CT spine · sagittal plane, index 266 · bone-window reconstruction · 833x1119 px · scan covers 18 annotated vertebrae
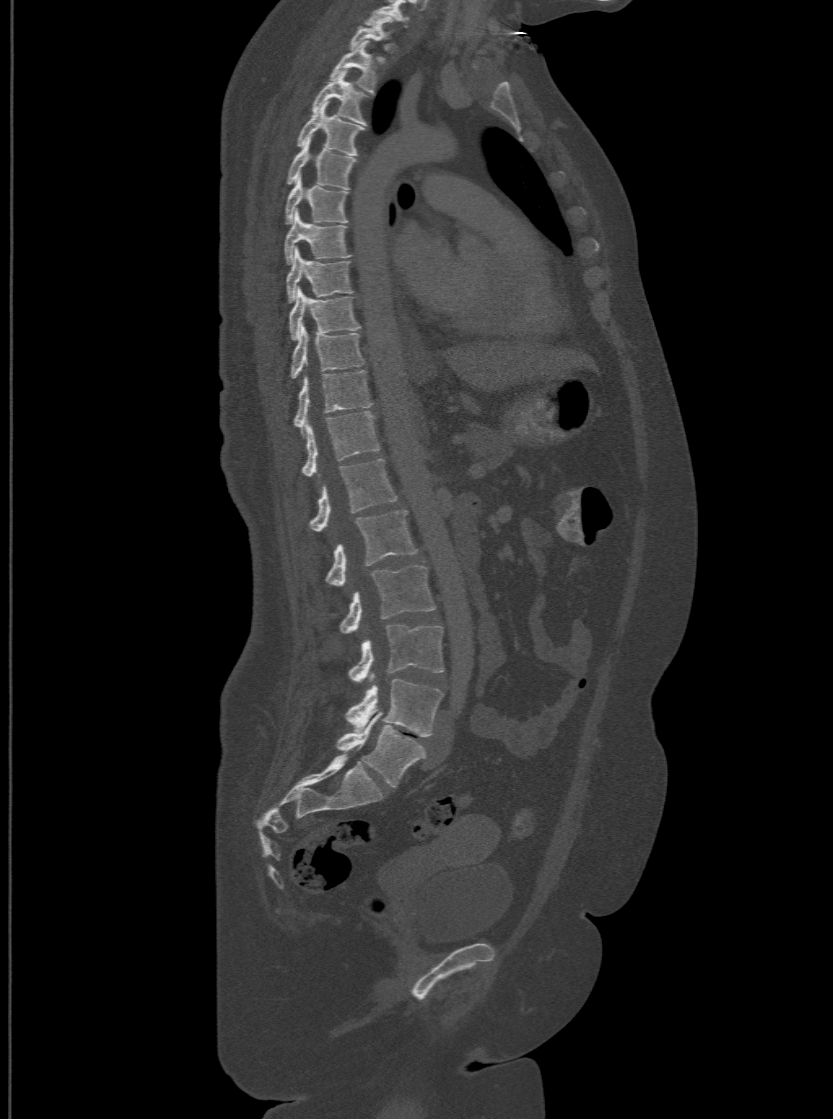

Each box is [x1, y1, x2, y2] in pixels: top-left corner, then bottom-right corner.
The highest labeled vertebra in this scan is T1; the lowest is L6.
In these labels the spine has an L6, a sixth lumbar vertebra below L5.
{"vertebrae":{"L6":[337,711,425,787],"L5":[345,679,442,737],"L4":[347,624,443,682],"L3":[340,566,435,633],"L2":[326,508,416,585],"L1":[308,458,396,531],"T12":[301,410,380,476],"T11":[293,370,372,431],"T10":[290,327,364,377],"T9":[288,288,360,339],"T8":[286,248,352,301],"T7":[283,210,351,262],"T6":[285,177,347,222],"T5":[286,137,355,187],"T4":[296,102,364,154],"T3":[311,70,365,122],"T2":[330,40,377,92],"T1":[350,20,391,47]}}